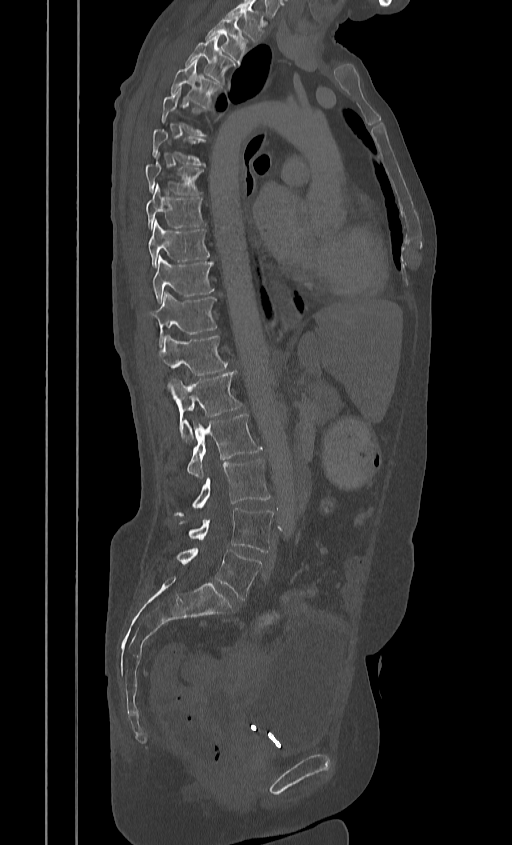 CT spine — sagittal view — W/L 1800/400 HU — 512x845 px

Boxes are given in columns x1, y1, x2, y2, the pixel coordinates of their top-left and bottom-right corners.
This scan's labels start at T2 at the top and end at L5 at the bottom.
| vertebra | x1 | y1 | x2 | y2 |
|---|---|---|---|---|
| T2 | 205 | 17 | 246 | 64 |
| T3 | 185 | 37 | 233 | 82 |
| T4 | 170 | 60 | 223 | 108 |
| T5 | 161 | 88 | 207 | 135 |
| T6 | 152 | 128 | 205 | 164 |
| T7 | 145 | 159 | 203 | 195 |
| T8 | 146 | 184 | 205 | 230 |
| T9 | 148 | 220 | 209 | 267 |
| T10 | 153 | 256 | 213 | 302 |
| T11 | 148 | 292 | 216 | 344 |
| T12 | 158 | 335 | 228 | 375 |
| L1 | 170 | 371 | 241 | 442 |
| L2 | 186 | 413 | 261 | 478 |
| L3 | 174 | 459 | 271 | 515 |
| L4 | 180 | 508 | 273 | 552 |
| L5 | 176 | 548 | 261 | 600 |